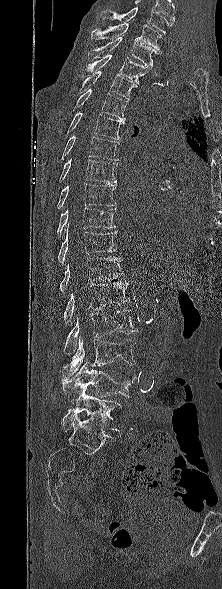 CT spine · sagittal view. Each row gives a vertebra's box as x1, y1, x2, y2 in pixels: top-left corner, then bottom-right corner.
Labels in this scan begin with T1 at the top and end with L5 at the bottom.
| vertebra | x1 | y1 | x2 | y2 |
|---|---|---|---|---|
| T1 | 90 | 23 | 162 | 52 |
| T2 | 88 | 37 | 158 | 68 |
| T3 | 82 | 54 | 152 | 83 |
| T4 | 78 | 71 | 136 | 99 |
| T5 | 67 | 89 | 128 | 121 |
| T6 | 65 | 112 | 123 | 139 |
| T7 | 61 | 135 | 119 | 160 |
| T8 | 59 | 158 | 117 | 183 |
| T9 | 57 | 183 | 116 | 209 |
| T10 | 57 | 207 | 116 | 236 |
| T11 | 58 | 224 | 117 | 263 |
| T12 | 59 | 257 | 123 | 293 |
| L1 | 64 | 282 | 130 | 326 |
| L2 | 65 | 309 | 138 | 354 |
| L3 | 60 | 335 | 135 | 379 |
| L4 | 60 | 362 | 136 | 404 |
| L5 | 61 | 393 | 122 | 431 |